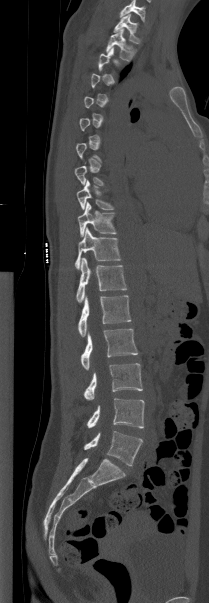 CT · 209 mm wide · sagittal view · 209x603 px

Box edges are left/top/right/bottom in pixels.
A vertebra is boxed only from the first to the last slice where its cross-section is at least a third of its largest; slices outside that range leave it without a box.
In this scan, the topmost labeled vertebra is T1 and the lowest is L5.
| vertebra | x1 | y1 | x2 | y2 |
|---|---|---|---|---|
| T1 | 114 | 14 | 141 | 43 |
| T2 | 106 | 29 | 135 | 60 |
| T9 | 76 | 180 | 114 | 210 |
| T10 | 77 | 202 | 116 | 236 |
| T11 | 75 | 227 | 120 | 269 |
| T12 | 76 | 257 | 126 | 302 |
| L1 | 78 | 295 | 131 | 336 |
| L2 | 81 | 329 | 137 | 369 |
| L3 | 84 | 363 | 142 | 400 |
| L4 | 87 | 398 | 144 | 428 |
| L5 | 84 | 431 | 142 | 466 |